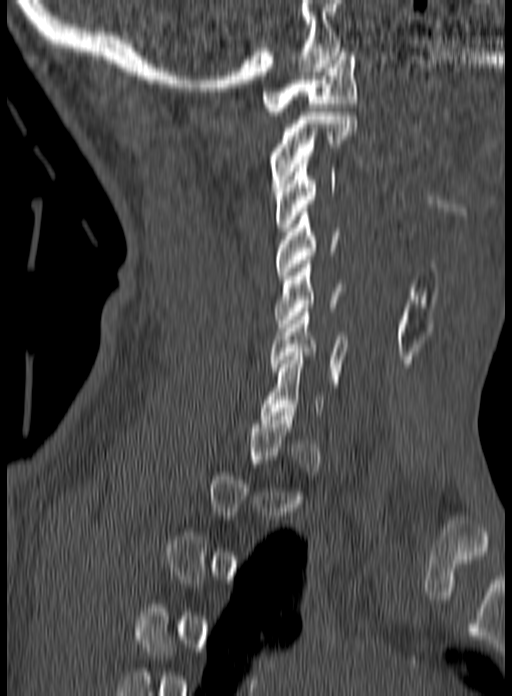

CT, spine — sagittal view
Bounding boxes as [x1, y1, x2, y2] in pixel coordinates. A vertebra gets a box only on the slices from the first to the last where its cross-section is at least a third of its largest; on a slice outside that range it gets none. Vertebrae labeled: C1 at [261, 48, 357, 115], C2 at [270, 112, 357, 195], C3 at [273, 160, 336, 231], C4 at [276, 208, 338, 279], C5 at [275, 260, 345, 331], C6 at [270, 308, 347, 383].